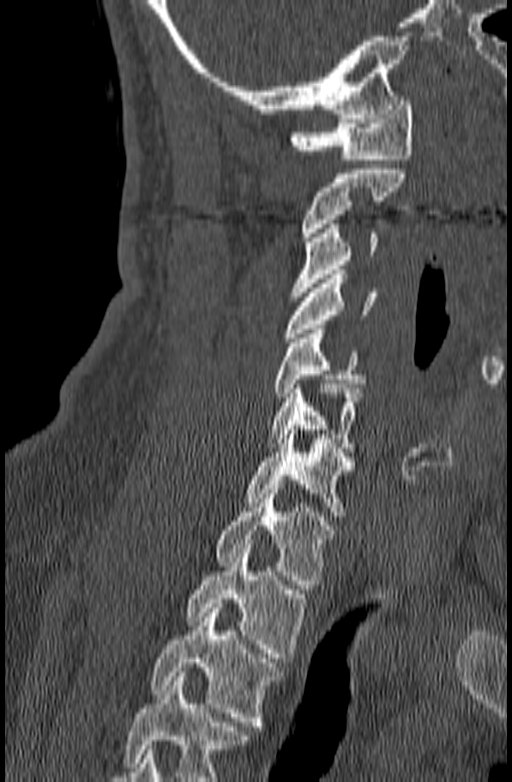
Spine CT · sagittal view · bone-window reconstruction · 512x782 px
Boxes: x1 y1 x2 y2 (pixel coords, space-separated).
Vertebrae that run past the bottom of the scan are left unlabeled.
Vertebra bounding boxes:
- C1: 290 96 412 159
- C2: 301 169 406 241
- C3: 290 224 377 296
- C4: 283 270 377 342
- C5: 272 329 365 397
- C6: 265 384 362 452
- C7: 246 430 354 516
- T1: 217 485 333 589
- T2: 186 544 307 662
- T3: 151 603 283 730